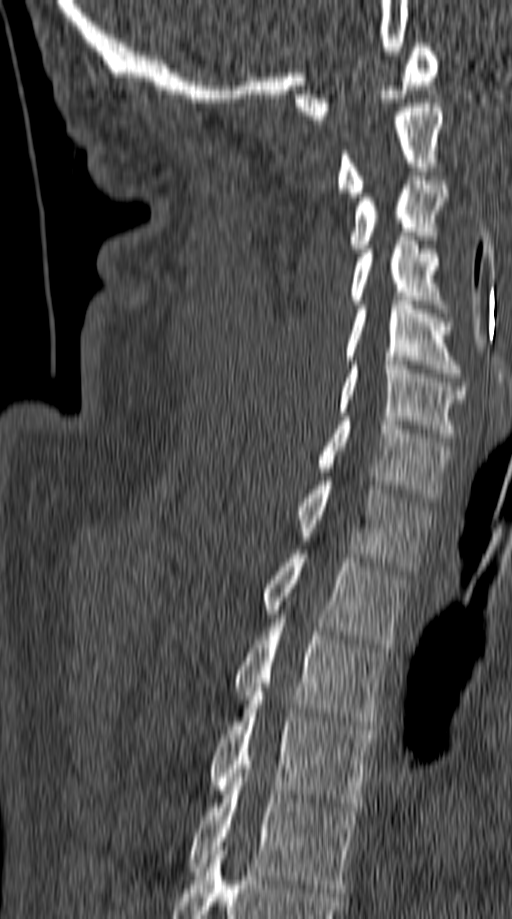
CT spine. sagittal view. bone-window reconstruction
Box values are [left, top, right, bottom] in pixels.
{"vertebrae":{"C1":[295,43,438,119],"C2":[335,103,447,197],"C3":[348,172,448,252],"C4":[350,241,450,313],"C5":[344,301,461,377],"C6":[338,361,466,441],"C7":[317,417,450,502],"T1":[297,481,433,570],"T2":[262,550,409,648],"T3":[235,614,389,729],"T4":[207,692,375,807],"T5":[188,773,359,892]}}